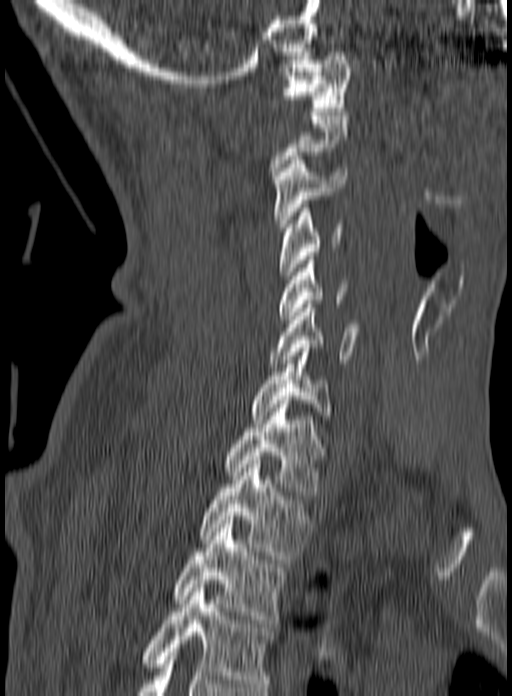 CT spine; 160 mm across the image; sagittal view; bone window
A vertebra is boxed only from the first to the last slice where its cross-section is at least a third of its largest; slices outside that range leave it without a box.
In this scan, the topmost labeled vertebra is C1 and the lowest is T3.
<vertebrae><v name="T3" x1="174" y1="516" x2="285" y2="623"/><v name="T2" x1="200" y1="464" x2="311" y2="559"/><v name="T1" x1="225" y1="400" x2="326" y2="495"/><v name="C7" x1="251" y1="344" x2="333" y2="419"/><v name="C6" x1="268" y1="304" x2="360" y2="367"/><v name="C5" x1="278" y1="256" x2="347" y2="319"/><v name="C4" x1="280" y1="204" x2="344" y2="279"/><v name="C3" x1="274" y1="156" x2="346" y2="231"/><v name="C1" x1="284" y1="52" x2="351" y2="111"/></vertebrae>